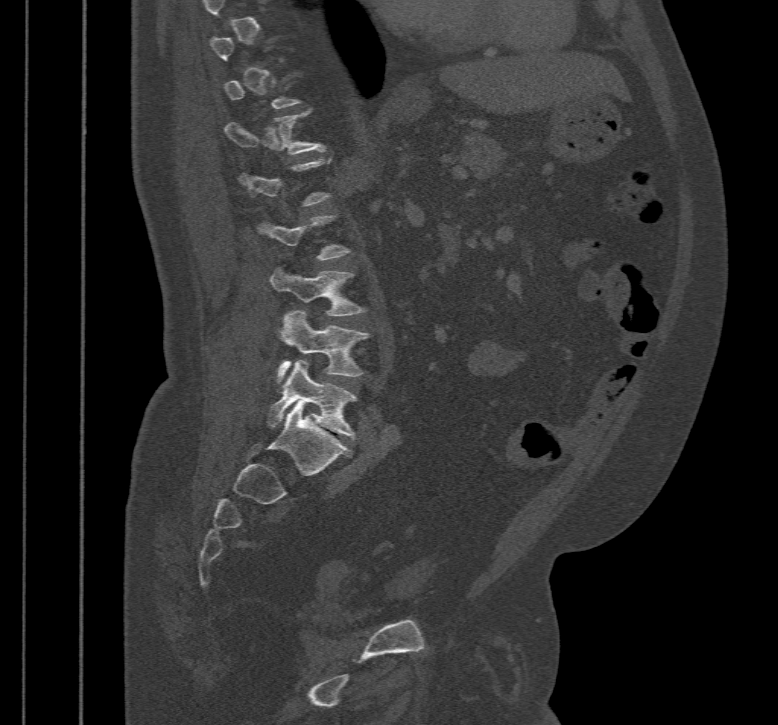 CT, spine. sagittal view

Box edges are left/top/right/bottom in pixels. A vertebra gets a box only on the slices from the first to the last where its cross-section is at least a third of its largest; on a slice outside that range it gets none. The labeled vertebrae in this slice are: T12 at left=225, top=112, right=326, bottom=154, L3 at left=271, top=269, right=364, bottom=316, L4 at left=277, top=310, right=368, bottom=381, L5 at left=266, top=360, right=356, bottom=439.